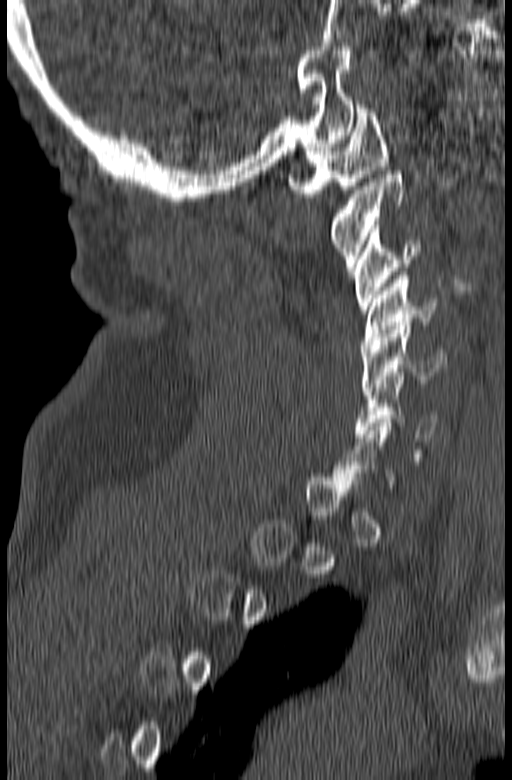 Computed tomography of the spine · 165 mm image width · sagittal view
Each box given as x1,y1,x2,y2. Each vertebra is boxed only on the slices from the first to the last where its cross-section reaches a third of its largest, so a slice outside that range leaves it unboxed. The labeled vertebrae in this slice are: C1 at x1=288, y1=105, x2=388, y2=197, C2 at x1=330, y1=171, x2=405, y2=271, C3 at x1=352, y1=225, x2=419, y2=313, C4 at x1=361, y1=272, x2=438, y2=348, C5 at x1=361, y1=322, x2=447, y2=391, C6 at x1=355, y1=376, x2=439, y2=441.